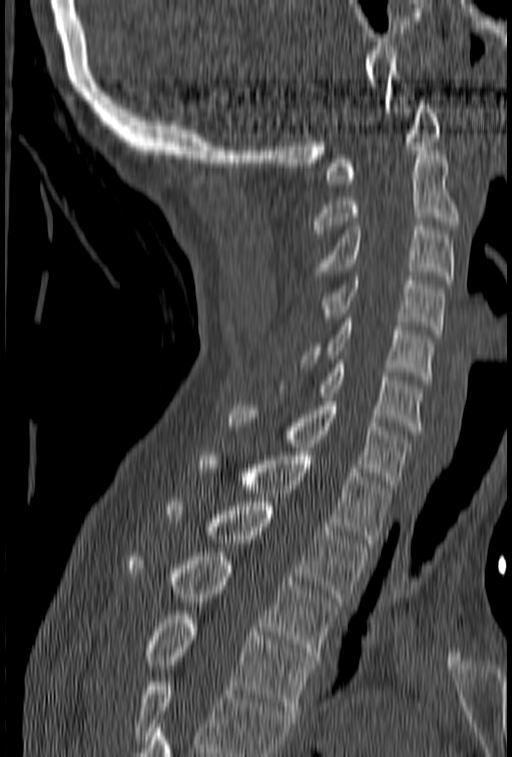
Spine computed tomography. sagittal view
Boxes below are [x1, y1, x2, y2] in pixels.
No box is given to a vertebra that the bottom edge of the scan cuts off.
{"vertebrae":{"C1":[326,96,442,187],"C2":[313,151,459,233],"C3":[315,222,454,283],"C4":[322,276,445,334],"C5":[303,314,435,380],"C6":[278,360,422,434],"C7":[229,397,412,488],"T1":[198,452,392,547],"T2":[166,502,368,601],"T3":[127,552,338,660],"T4":[142,615,315,710]}}